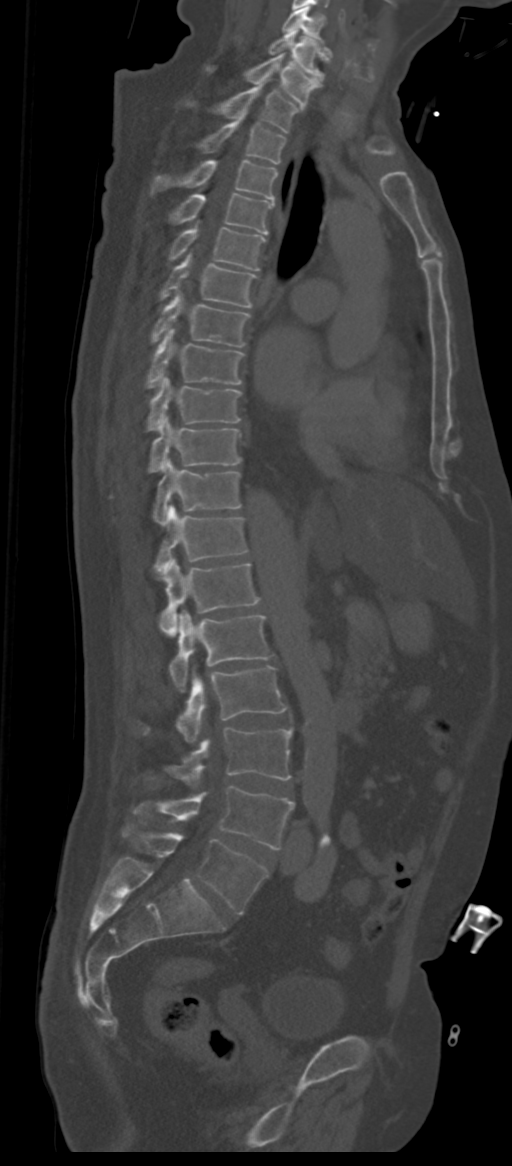 CT, spine; sagittal view; 512x1166 px; the image spans 311 mm across

Boxes: x1 y1 x2 y2 (pixel coords, space-separated).
The labels name a sixth lumbar vertebra for this spine: L6, after L5.
Vertebra bounding boxes:
- L6: 122 824 268 913
- L5: 134 786 294 849
- L4: 167 727 292 785
- L3: 145 666 287 742
- L2: 170 610 271 691
- L1: 158 559 258 635
- T12: 153 504 246 572
- T11: 153 460 240 525
- T10: 148 414 241 472
- T9: 147 376 241 431
- T8: 145 328 243 388
- T7: 150 290 250 347
- T6: 160 254 256 307
- T5: 168 228 264 269
- T4: 168 193 274 233
- T3: 152 160 278 199
- T2: 198 111 286 164
- T1: 188 83 299 133
- C7: 206 53 320 106
- C6: 269 30 329 80
- C5: 282 7 330 52